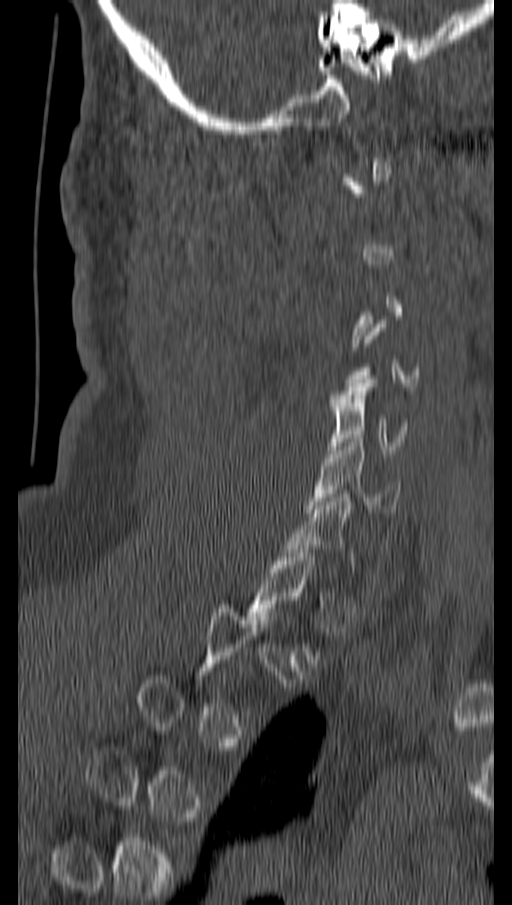 Spine computed tomography · sagittal view · image width 162 mm

Each vertebra maps to its box as [x1, y1, x2, y2], the pixel coordinates of its top-left and bottom-right corners.
Not every vertebra on this slice has a box: a vertebra is boxed only from the first to the last slice where its cross-section is at least a third of its largest, and this slice is outside that range for at least one of them.
{"vertebrae":{"C5":[330,379,408,453],"C6":[305,435,400,513]}}